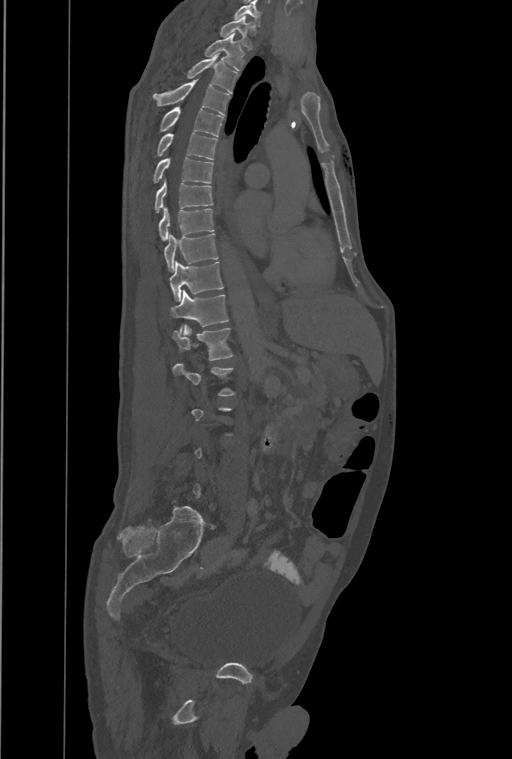
CT, spine — image width 461 mm — sagittal reformat — W/L 1800/400 HU — 512x759 px
Boxes below are [x1, y1, x2, y2] in pixels.
Each vertebra is boxed only on the slices from the first to the last where its cross-section reaches a third of its largest, so a slice outside that range leaves it unboxed.
Labels in this scan begin with T1 at the top and end with L4 at the bottom.
In these labels the spine has a T13, a thirteenth thoracic vertebra, between T12 and L1.
{"vertebrae":{"T13":[173,326,232,360],"T12":[171,290,227,326],"T11":[170,261,223,301],"T10":[164,234,217,271],"T9":[158,207,214,240],"T8":[155,179,213,213],"T7":[153,157,213,183],"T6":[157,132,217,159],"T5":[161,107,223,136],"T4":[153,80,229,115],"T3":[186,55,238,93],"T2":[204,32,244,70],"T1":[219,16,253,49]}}